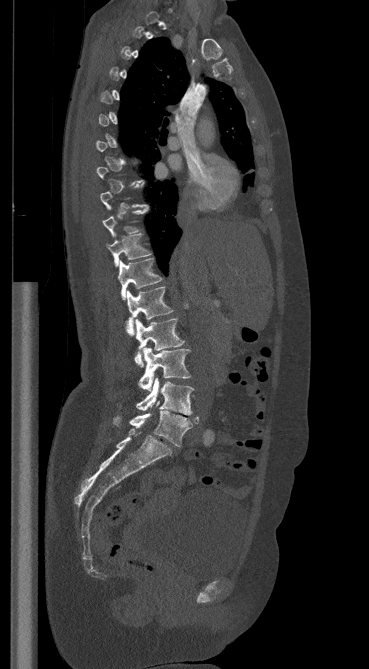 CT, spine — sagittal view — the image spans 369 mm across — W/L 1800/400 HU
Each box given as x1,y1,x2,y2.
A vertebra is boxed only from the first to the last slice where its cross-section is at least a third of its largest; slices outside that range leave it without a box.
| vertebra | x1 | y1 | x2 | y2 |
|---|---|---|---|---|
| T11 | 107 | 234 | 150 | 267 |
| T12 | 118 | 259 | 162 | 299 |
| L1 | 126 | 287 | 173 | 335 |
| L2 | 134 | 318 | 184 | 366 |
| L3 | 138 | 347 | 190 | 390 |
| L4 | 136 | 377 | 193 | 415 |
| L5 | 113 | 401 | 198 | 447 |